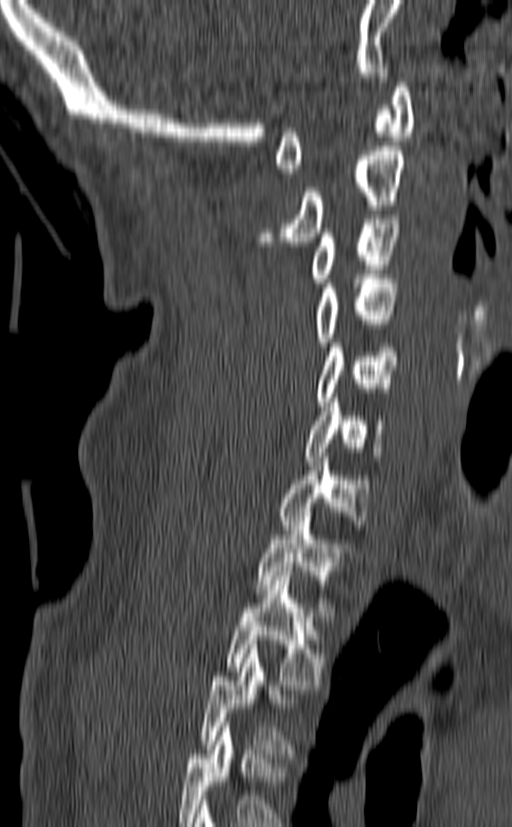
Spine CT — sagittal view

Box edges are left/top/right/bottom in pixels.
Labels in this scan begin with C1 at the top and end with T3 at the bottom.
| vertebra | x1 | y1 | x2 | y2 |
|---|---|---|---|---|
| C1 | 275 | 78 | 414 | 173 |
| C2 | 258 | 146 | 406 | 246 |
| C3 | 309 | 219 | 399 | 287 |
| C4 | 312 | 274 | 399 | 346 |
| C5 | 316 | 338 | 399 | 406 |
| C6 | 303 | 398 | 385 | 461 |
| C7 | 278 | 453 | 370 | 534 |
| T1 | 257 | 512 | 355 | 616 |
| T2 | 224 | 571 | 326 | 689 |
| T3 | 200 | 645 | 293 | 758 |